CT; sagittal plane, index 24; Bone window (WL 400, WW 1800); the image is 195 mm wide; 195x629 px
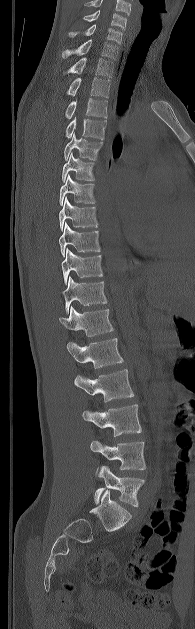

In the table, x1 and y1 are a box's top-left corner and x2 and y2 its bottom-right corner, in pixels.
In this scan, the topmost labeled vertebra is C5 and the lowest is L5.
| vertebra | x1 | y1 | x2 | y2 |
|---|---|---|---|---|
| L5 | 94 | 466 | 144 | 506 |
| L4 | 90 | 440 | 145 | 469 |
| L3 | 82 | 404 | 141 | 436 |
| L2 | 74 | 369 | 134 | 402 |
| L1 | 66 | 338 | 123 | 368 |
| T12 | 58 | 306 | 113 | 336 |
| T11 | 63 | 276 | 107 | 314 |
| T10 | 61 | 248 | 102 | 284 |
| T9 | 59 | 221 | 100 | 258 |
| T8 | 59 | 197 | 98 | 230 |
| T7 | 59 | 175 | 95 | 205 |
| T6 | 61 | 153 | 94 | 182 |
| T5 | 64 | 132 | 102 | 160 |
| T4 | 65 | 117 | 106 | 140 |
| T3 | 65 | 98 | 107 | 118 |
| T2 | 67 | 77 | 110 | 97 |
| T1 | 67 | 57 | 113 | 77 |
| C7 | 62 | 39 | 118 | 59 |
| C6 | 69 | 24 | 122 | 43 |
| C5 | 83 | 10 | 126 | 29 |